Spine computed tomography — sagittal plane, index 272
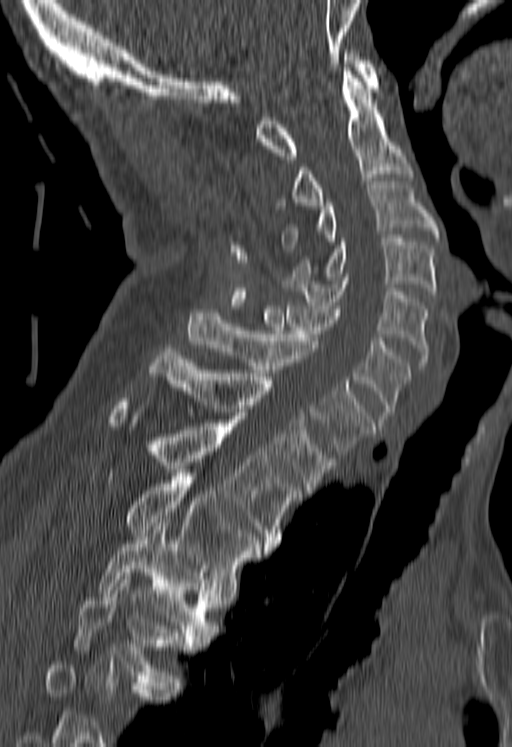
Boxes: x1:y1:x2:y2 in pixels.
A vertebra cut off by the bottom edge of the scan is not labeled and has no box.
Vertebra bounding boxes:
- C1: 256:50:378:159
- C2: 277:68:412:209
- C3: 283:181:438:248
- C4: 291:235:435:294
- C5: 280:277:427:369
- C6: 252:302:410:419
- C7: 188:309:375:454
- T1: 146:348:336:493
- T2: 109:398:301:547
- T3: 126:473:270:586
- T4: 95:523:216:639
- T5: 74:572:193:682